Spine CT — sagittal view — W/L 1800/400 HU — 152x179 px — 9 vertebrae labeled in this scan
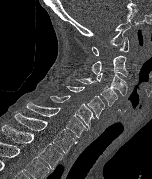
Columns x1, y1, x2, y2 give each box's top-left and bottom-right pixels.
| vertebra | x1 | y1 | x2 | y2 |
|---|---|---|---|---|
| C1 | 92 | 37 | 129 | 56 |
| C2 | 91 | 55 | 127 | 77 |
| C3 | 96 | 72 | 127 | 96 |
| C4 | 75 | 78 | 117 | 106 |
| C5 | 66 | 85 | 104 | 118 |
| C6 | 48 | 95 | 94 | 129 |
| C7 | 26 | 102 | 87 | 137 |
| T1 | 14 | 113 | 76 | 153 |
| T2 | 1 | 125 | 63 | 169 |